CT, spine · sagittal plane, index 223 · 18 vertebrae labeled in this scan
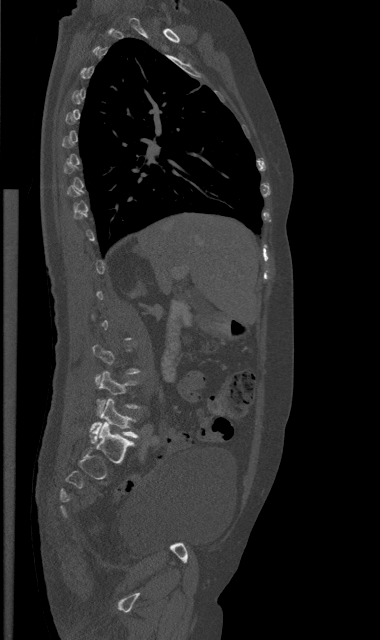
Boxes below are [x1, y1, x2, y2] in pixels.
Each vertebra is boxed only on the slices from the first to the last where its cross-section reaches a third of its largest, so a slice outside that range leaves it unboxed.
{"vertebrae":{"L4":[97,371,139,414],"L5":[91,398,137,438]}}